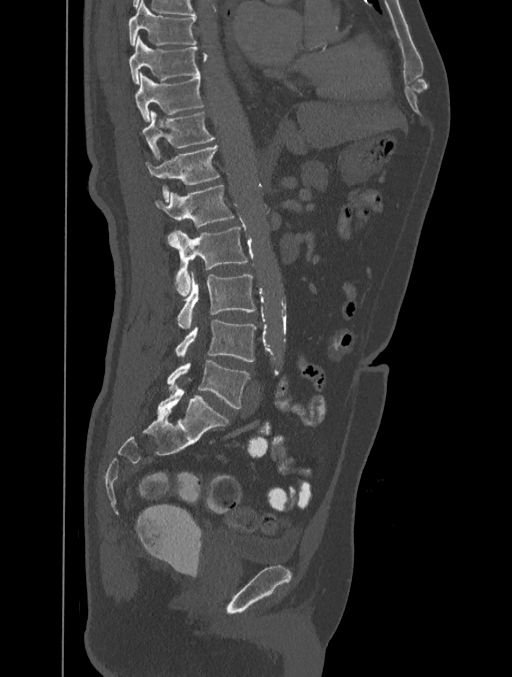 Spine CT; sagittal view
Boxes are given in columns x1, y1, x2, y2, the pixel coordinates of their top-left and bottom-right corners.
| vertebra | x1 | y1 | x2 | y2 |
|---|---|---|---|---|
| T8 | 129 | 1 | 197 | 45 |
| T9 | 129 | 36 | 199 | 83 |
| T10 | 135 | 72 | 203 | 121 |
| T11 | 143 | 111 | 215 | 159 |
| T12 | 145 | 145 | 220 | 201 |
| L1 | 154 | 185 | 234 | 228 |
| L2 | 168 | 226 | 248 | 295 |
| L3 | 177 | 272 | 255 | 329 |
| L4 | 175 | 319 | 255 | 362 |
| L5 | 167 | 360 | 249 | 409 |